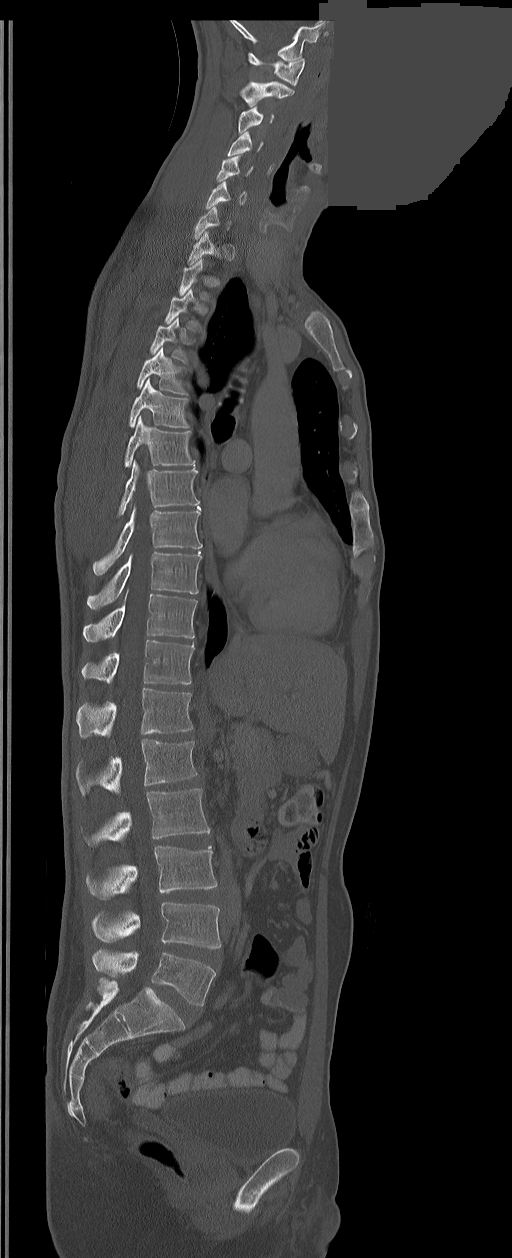
CT — sagittal reformat — bone window — some of the image was removed or blocked out with constant pixels

Coordinates as <box>x1,y1,x2,y2</box>.
Each vertebra is boxed only on the slices from the first to the last where its cross-section reaches a third of its largest, so a slice outside that range leaves it unboxed.
The labels name a sixth lumbar vertebra for this spine: L6, after L5.
Vertebra bounding boxes:
- C1: <box>248,52,305,86</box>
- C2: <box>240,81,293,106</box>
- C3: <box>239,106,274,134</box>
- C4: <box>228,132,263,156</box>
- C5: <box>217,155,252,181</box>
- C6: <box>205,180,246,208</box>
- C7: <box>195,206,229,239</box>
- T1: <box>187,231,216,264</box>
- T3: <box>164,289,200,330</box>
- T4: <box>149,317,186,362</box>
- T5: <box>136,347,186,394</box>
- T6: <box>129,378,188,428</box>
- T7: <box>125,417,195,467</box>
- T8: <box>119,461,198,516</box>
- T9: <box>92,506,201,574</box>
- T10: <box>87,552,201,609</box>
- T11: <box>84,593,197,641</box>
- T12: <box>82,639,194,684</box>
- L1: <box>76,688,192,736</box>
- L2: <box>76,739,197,795</box>
- L3: <box>87,789,210,845</box>
- L4: <box>87,846,217,899</box>
- L5: <box>92,903,220,949</box>
- L6: <box>92,950,216,1006</box>